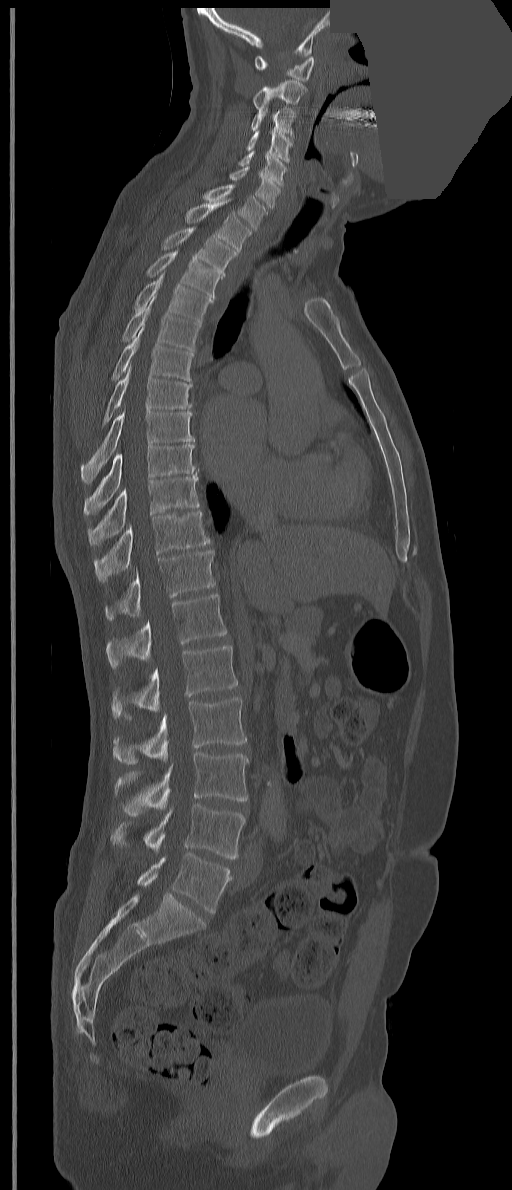
CT spine. sagittal reformat. 512x1190 px. a region is masked with a constant gray value
These labels give the spine a thirteenth thoracic vertebra: T13 sits between T12 and L1.
<vertebrae><v name="C1" x1="254" y1="55" x2="314" y2="81"/><v name="C2" x1="253" y1="80" x2="307" y2="110"/><v name="C3" x1="251" y1="107" x2="296" y2="136"/><v name="C4" x1="247" y1="129" x2="292" y2="162"/><v name="C5" x1="238" y1="151" x2="286" y2="186"/><v name="C6" x1="229" y1="165" x2="280" y2="208"/><v name="C7" x1="203" y1="183" x2="267" y2="230"/><v name="T1" x1="185" y1="197" x2="251" y2="252"/><v name="T2" x1="161" y1="226" x2="237" y2="277"/><v name="T3" x1="146" y1="249" x2="222" y2="298"/><v name="T4" x1="133" y1="271" x2="213" y2="323"/><v name="T5" x1="120" y1="294" x2="201" y2="352"/><v name="T6" x1="111" y1="324" x2="194" y2="380"/><v name="T7" x1="102" y1="363" x2="192" y2="425"/><v name="T8" x1="80" y1="411" x2="195" y2="483"/><v name="T9" x1="83" y1="444" x2="196" y2="515"/><v name="T10" x1="88" y1="472" x2="199" y2="546"/><v name="T11" x1="94" y1="511" x2="211" y2="583"/><v name="T12" x1="105" y1="550" x2="215" y2="620"/><v name="T13" x1="107" y1="594" x2="227" y2="669"/><v name="L1" x1="111" y1="645" x2="237" y2="718"/><v name="L2" x1="113" y1="697" x2="246" y2="763"/><v name="L3" x1="115" y1="753" x2="249" y2="814"/><v name="L4" x1="111" y1="804" x2="244" y2="858"/><v name="L5" x1="137" y1="853" x2="231" y2="912"/></vertebrae>